CT · Sagittal slice 192/391 · 391x670 px
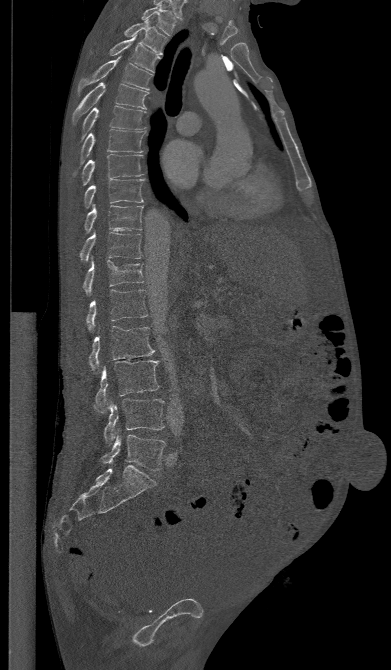

Boxes: x1 y1 x2 y2 (pixel coords, space-separated).
T1: 141 3 176 35
T2: 124 19 167 54
T3: 109 34 160 71
T4: 78 57 152 91
T5: 72 82 149 123
T6: 80 106 146 142
T7: 72 129 145 176
T8: 80 154 143 185
T9: 84 179 144 208
T10: 84 204 143 233
T11: 79 232 142 260
T12: 82 259 143 295
L1: 86 289 147 330
L2: 88 326 154 371
L3: 93 360 159 413
L4: 104 399 164 444
L5: 101 435 165 470